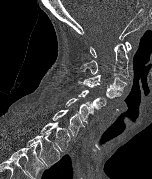 CT, spine — sagittal view — bone window
Each vertebra maps to its box as [x1, y1, x2, y2], the pixel coordinates of its top-left and bottom-right corners.
In this scan, the topmost labeled vertebra is C1 and the lowest is T2.
{"vertebrae":{"C1":[90,41,131,57],"C2":[79,43,128,78],"C3":[83,74,127,92],"C4":[78,81,121,98],"C5":[78,90,106,109],"C6":[65,98,93,123],"C7":[52,109,84,136],"T1":[40,121,71,151],"T2":[26,132,60,166]}}